Spine computed tomography; Sagittal slice 288/512
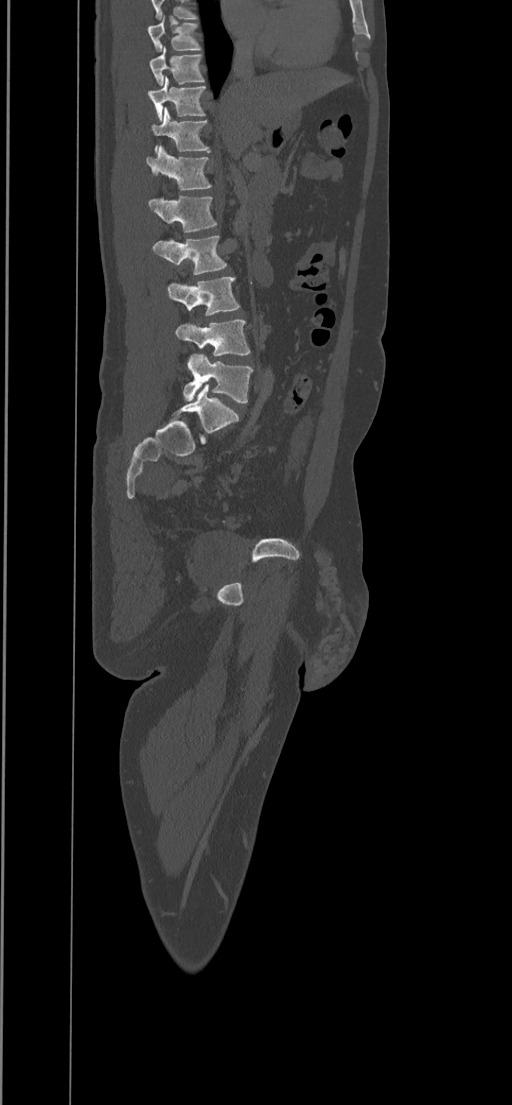 Each row gives a vertebra's box as x1, y1, x2, y2 in pixels: top-left corner, then bottom-right corner.
This scan's labels start at T8 at the top and end at L5 at the bottom.
| vertebra | x1 | y1 | x2 | y2 |
|---|---|---|---|---|
| T8 | 147 | 15 | 201 | 52 |
| T9 | 149 | 46 | 204 | 86 |
| T10 | 148 | 76 | 205 | 120 |
| T11 | 151 | 107 | 209 | 152 |
| T12 | 146 | 145 | 211 | 190 |
| L1 | 149 | 195 | 217 | 232 |
| L2 | 152 | 236 | 227 | 274 |
| L3 | 167 | 277 | 240 | 315 |
| L4 | 176 | 320 | 250 | 356 |
| L5 | 183 | 354 | 253 | 402 |